CT spine; Sagittal slice 246/512; W/L 1800/400 HU
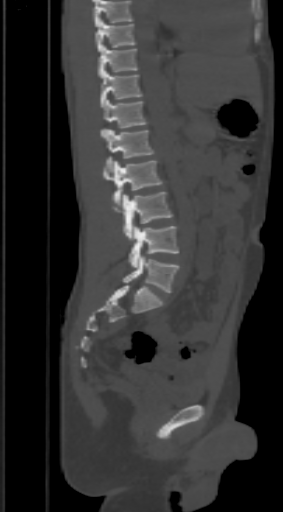

Box edges are left/top/right/bottom in pixels. Where the top of the scan cuts through a vertebra, that vertebra gets no label or box. 9 vertebrae labeled — L5 at left=123, top=255, right=178, bottom=293; L4 at left=129, top=226, right=178, bottom=267; L3 at left=112, top=192, right=173, bottom=240; L2 at left=101, top=160, right=161, bottom=205; L1 at left=106, top=129, right=153, bottom=169; T12 at left=101, top=99, right=147, bottom=138; T11 at left=101, top=70, right=142, bottom=107; T10 at left=98, top=45, right=136, bottom=78; T9 at left=95, top=20, right=136, bottom=52.